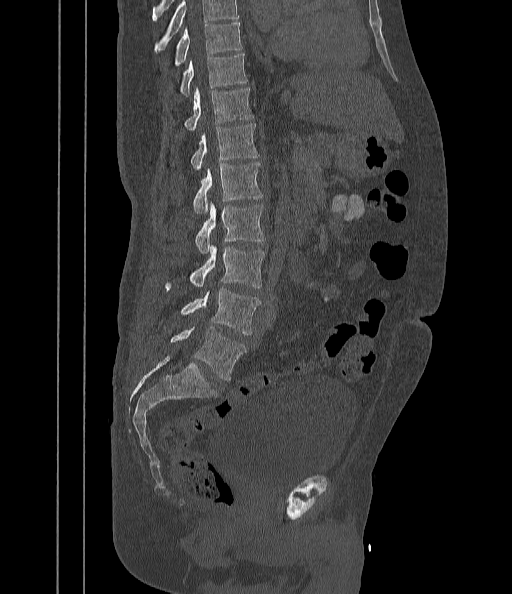 Spine CT · sagittal view

No box is given to a vertebra that the top edge of the scan cuts off.
<vertebrae><v name="T9" x1="173" y1="23" x2="242" y2="67"/><v name="T10" x1="178" y1="54" x2="247" y2="95"/><v name="T11" x1="183" y1="89" x2="254" y2="131"/><v name="T12" x1="190" y1="123" x2="258" y2="171"/><v name="L1" x1="193" y1="162" x2="262" y2="213"/><v name="L2" x1="195" y1="205" x2="265" y2="253"/><v name="L3" x1="164" y1="247" x2="265" y2="289"/><v name="L4" x1="179" y1="288" x2="261" y2="334"/><v name="L5" x1="170" y1="327" x2="246" y2="381"/></vertebrae>